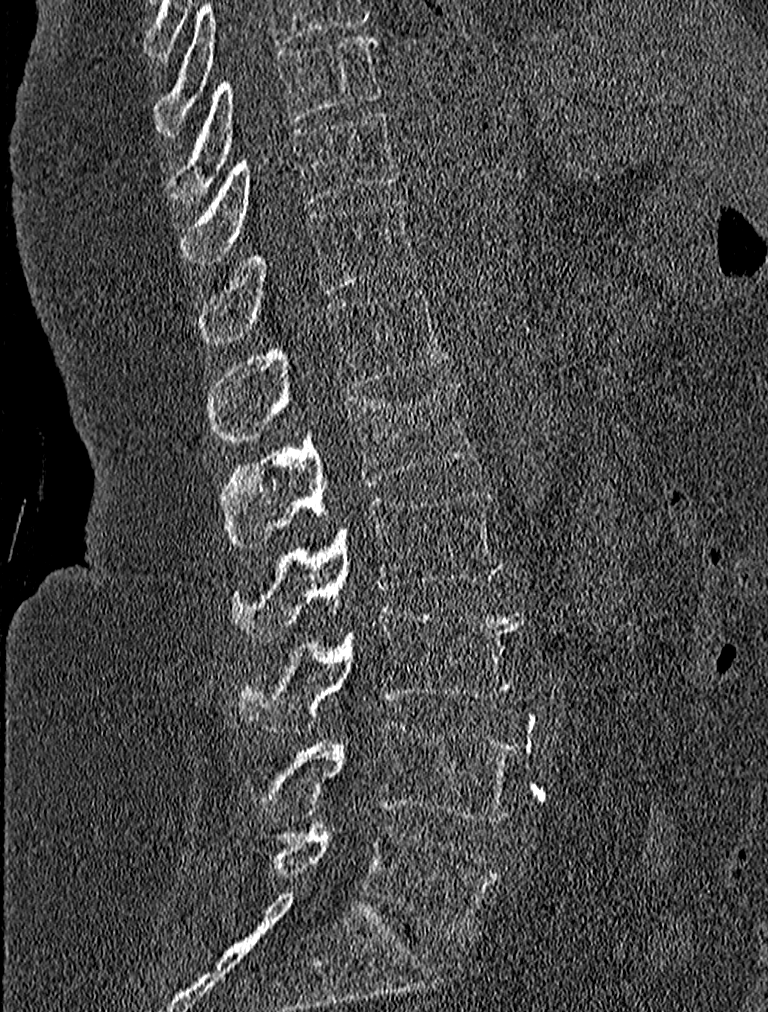 CT spine; image width 227 mm; sagittal view; bone window. Each row gives a vertebra's box as x1, y1, x2, y2 in pixels: top-left corner, then bottom-right corner.
| vertebra | x1 | y1 | x2 | y2 |
|---|---|---|---|---|
| T9 | 168 | 33 | 380 | 206 |
| T10 | 178 | 111 | 400 | 262 |
| T11 | 195 | 199 | 417 | 345 |
| T12 | 209 | 288 | 448 | 439 |
| L1 | 219 | 379 | 475 | 546 |
| L2 | 232 | 490 | 502 | 640 |
| L3 | 239 | 607 | 522 | 731 |
| L4 | 246 | 722 | 520 | 823 |
| L5 | 266 | 821 | 499 | 938 |